Spine computed tomography; sagittal view; Bone window (WL 400, WW 1800); image width 186 mm
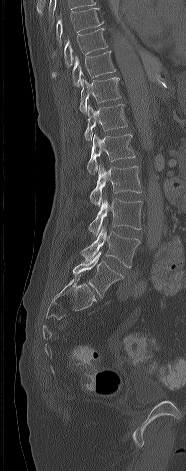
Coordinates as <box>x1,y1,x2,y2</box>.
T8: <box>56,8,103,46</box>
T9: <box>51,28,108,77</box>
T10: <box>72,50,116,86</box>
T11: <box>79,77,121,114</box>
T12: <box>84,104,127,141</box>
L1: <box>87,134,135,174</box>
L2: <box>90,164,141,205</box>
L3: <box>88,198,143,235</box>
L4: <box>80,225,141,267</box>
L5: <box>73,251,123,297</box>